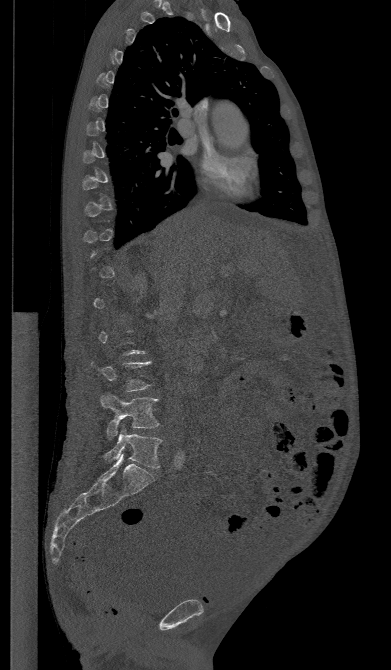
Spine CT. image 391 mm wide. sagittal view
Box edges are left/top/right/bottom in pixels.
A vertebra gets a box only on the slices from the first to the last where its cross-section is at least a third of its largest; on a slice outside that range it gets none.
| vertebra | x1 | y1 | x2 | y2 |
|---|---|---|---|---|
| L4 | 101 | 394 | 159 | 438 |
| L5 | 104 | 427 | 161 | 468 |